CT, spine · sagittal view · image width 461 mm · Bone window (WL 400, WW 1800) · 512x478 px
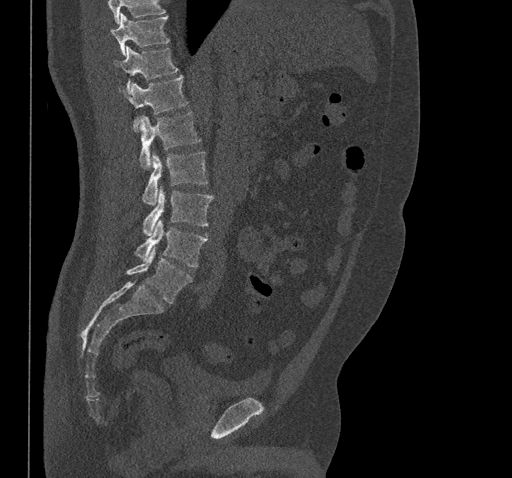

Vertebrae that run past the top of the scan are left unlabeled.
<vertebrae><v name="T10" x1="111" y1="15" x2="170" y2="56"/><v name="T11" x1="114" y1="47" x2="178" y2="90"/><v name="T12" x1="119" y1="76" x2="188" y2="131"/><v name="L1" x1="139" y1="111" x2="200" y2="168"/><v name="L2" x1="143" y1="151" x2="208" y2="205"/><v name="L3" x1="143" y1="188" x2="213" y2="235"/><v name="L4" x1="135" y1="220" x2="207" y2="267"/><v name="L5" x1="127" y1="248" x2="192" y2="304"/></vertebrae>